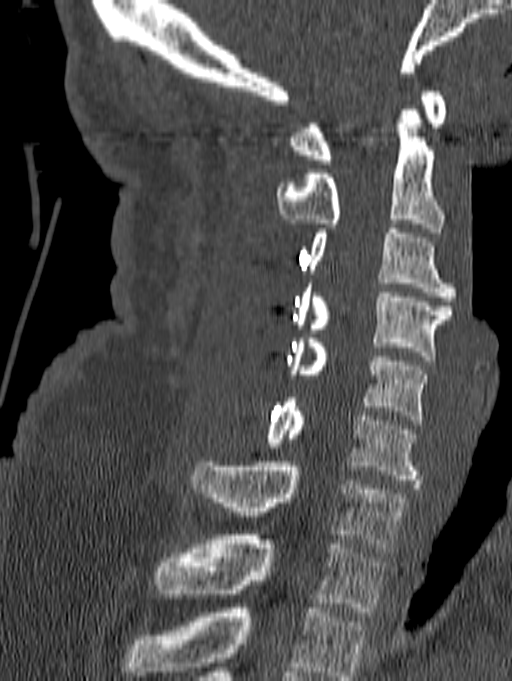
Spine CT · sagittal view · image width 140 mm · Bone window (WL 400, WW 1800) · 512x681 px. Boxes: x1:y1:x2:y2 in pixels.
This scan's labels start at C1 at the top and end at T1 at the bottom.
Vertebra bounding boxes:
- C1: 289:91:445:164
- C2: 276:110:444:232
- C3: 308:229:456:301
- C4: 294:283:451:360
- C5: 287:338:428:424
- C6: 265:398:421:484
- C7: 192:462:406:552
- T1: 155:535:386:616